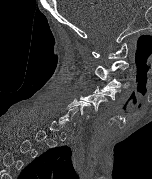 Spine CT — sagittal view
Boxes are (x1, y1, x2, y2) in pixels.
A vertebra is boxed only from the first to the last slice where its cross-section is at least a third of its largest; slices outside that range leave it without a box.
Vertebra bounding boxes:
- C1: (92, 42, 127, 59)
- C2: (94, 60, 128, 80)
- C3: (100, 79, 129, 90)
- C4: (93, 85, 120, 100)
- C5: (80, 93, 107, 111)
- C6: (66, 98, 90, 117)